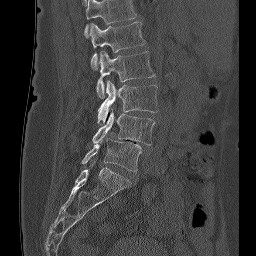

Computed tomography of the spine. sagittal view. 256 mm image width. 256x256 px
The highest labeled vertebra in this scan is L1; the lowest is L5.
<vertebrae><v name="L1" x1="89" y1="21" x2="145" y2="69"/><v name="L2" x1="96" y1="51" x2="155" y2="98"/><v name="L3" x1="97" y1="80" x2="158" y2="125"/><v name="L4" x1="92" y1="112" x2="155" y2="145"/><v name="L5" x1="81" y1="136" x2="141" y2="172"/></vertebrae>